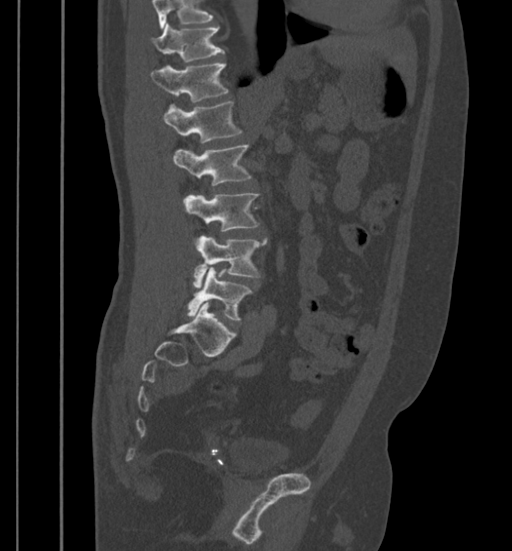 CT — sagittal view — Bone window (WL 400, WW 1800) — 512x551 px
Each box given as x1,y1,x2,y2.
A vertebra cut off by the top edge of the scan is not labeled and has no box.
| vertebra | x1 | y1 | x2 | y2 |
|---|---|---|---|---|
| T11 | 151 | 23 | 223 | 62 |
| T12 | 150 | 63 | 229 | 102 |
| L1 | 163 | 101 | 241 | 143 |
| L2 | 173 | 145 | 252 | 186 |
| L3 | 183 | 192 | 258 | 231 |
| L4 | 194 | 236 | 267 | 287 |
| L5 | 187 | 267 | 252 | 320 |